Spine computed tomography — Sagittal slice 315/512 — 512x759 px — scan covers 17 annotated vertebrae — 461 mm across the image
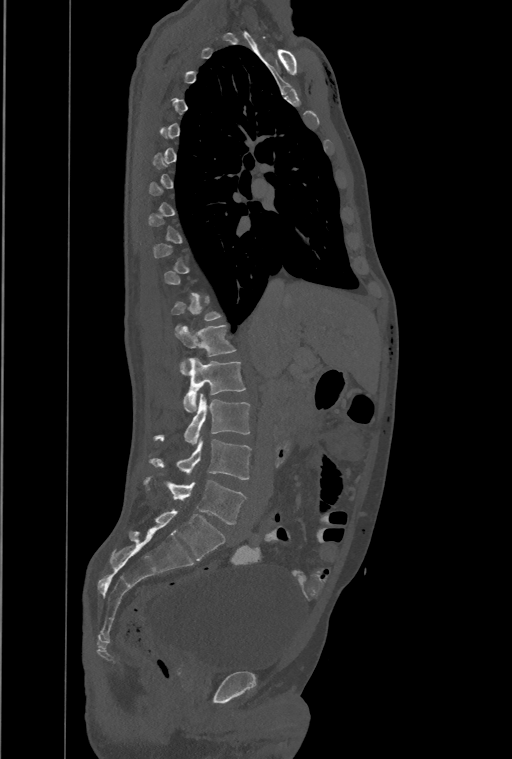

A vertebra is boxed only from the first to the last slice where its cross-section is at least a third of its largest; slices outside that range leave it without a box.
In this scan, the topmost labeled vertebra is T1 and the lowest is L4.
In these labels the spine has a T13, a thirteenth thoracic vertebra, between T12 and L1.
<vertebrae><v name="T13" x1="175" y1="325" x2="235" y2="374"/><v name="L1" x1="183" y1="358" x2="245" y2="411"/><v name="L2" x1="155" y1="394" x2="249" y2="444"/><v name="L3" x1="150" y1="439" x2="251" y2="479"/><v name="L4" x1="144" y1="477" x2="245" y2="524"/></vertebrae>